Computed tomography of the spine · sagittal view · 17 vertebrae labeled in this scan
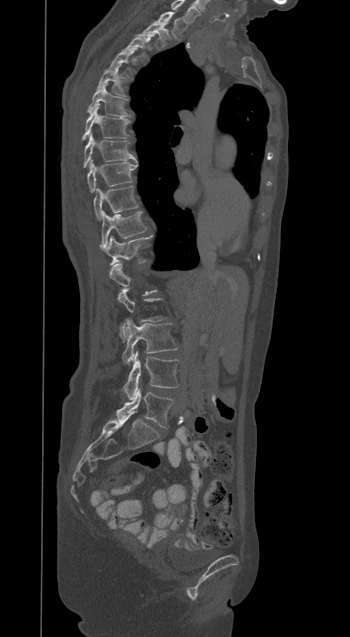

Each vertebra maps to its box as [x1, y1, x2, y2], the pixel coordinates of its top-left and bottom-right corners.
A vertebra gets a box only on the slices from the first to the last where its cross-section is at least a third of its largest; on a slice outside that range it gets none.
Labels in this scan begin with T1 at the top and end with L5 at the bottom.
{"vertebrae":{"T1":[155,12,186,38],"T2":[138,22,171,47],"T3":[125,34,153,59],"T4":[110,49,133,76],"T5":[97,66,124,95],"T6":[87,84,129,116],"T7":[82,103,130,139],"T8":[84,134,136,167],"T9":[87,161,136,192],"T10":[93,187,138,220],"T11":[102,211,146,247],"T12":[101,236,147,263],"L3":[122,319,177,364],"L4":[123,351,178,399],"L5":[116,389,173,427]}}